CT; sagittal reformat; 512x1190 px; part of the image is a flat gray fill, not anatomy
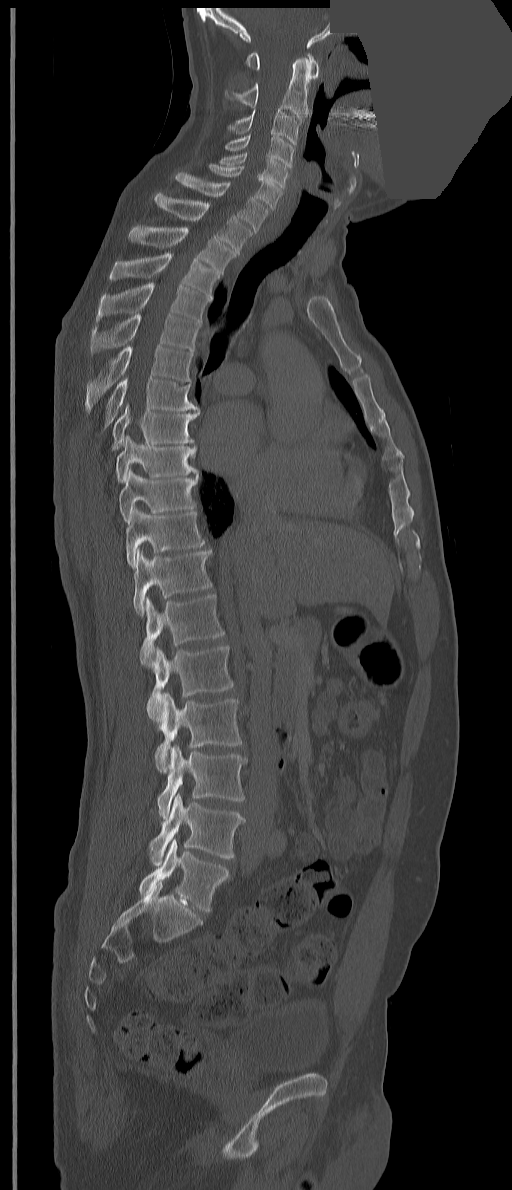

Box edges are left/top/right/bottom in pixels.
These labels give the spine a thirteenth thoracic vertebra: T13 sits between T12 and L1.
C1: left=246, top=51, right=318, bottom=78
C2: left=225, top=57, right=310, bottom=118
C3: left=227, top=108, right=300, bottom=145
C4: left=225, top=134, right=293, bottom=167
C5: left=219, top=152, right=288, bottom=188
C6: left=207, top=163, right=282, bottom=210
C7: left=175, top=172, right=269, bottom=231
T1: left=154, top=192, right=252, bottom=255
T2: left=128, top=225, right=236, bottom=274
T3: left=110, top=253, right=219, bottom=299
T4: left=97, top=283, right=211, bottom=323
T5: left=90, top=313, right=201, bottom=355
T6: left=85, top=345, right=193, bottom=412
T7: left=104, top=376, right=199, bottom=428
T8: left=112, top=404, right=200, bottom=450
T9: left=116, top=436, right=198, bottom=482
T10: left=118, top=467, right=198, bottom=523
T11: left=126, top=508, right=205, bottom=568
T12: left=133, top=549, right=212, bottom=616
T13: left=140, top=594, right=224, bottom=667
L1: left=147, top=645, right=233, bottom=722
L2: left=155, top=693, right=241, bottom=773
L3: left=157, top=745, right=246, bottom=819
L4: left=149, top=794, right=244, bottom=865
L5: left=139, top=839, right=228, bottom=912